Spine computed tomography. sagittal view. 512x548 px
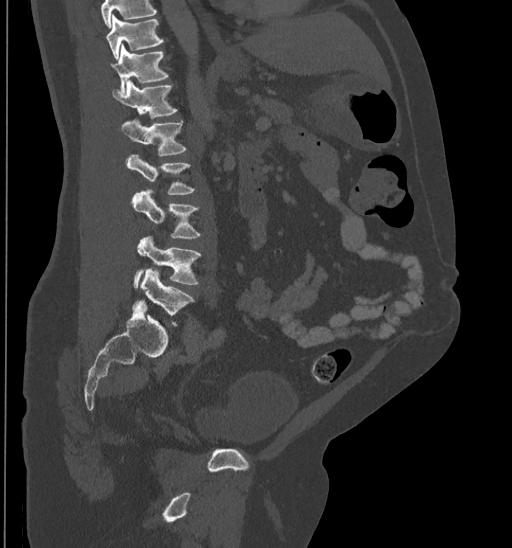

A vertebra cut off by the top edge of the scan is not labeled and has no box.
<vertebrae><v name="L5" x1="133" y1="268" x2="194" y2="325"/><v name="L4" x1="133" y1="236" x2="201" y2="288"/><v name="L3" x1="132" y1="189" x2="200" y2="238"/><v name="L2" x1="126" y1="154" x2="195" y2="195"/><v name="L1" x1="121" y1="118" x2="186" y2="156"/><v name="T12" x1="112" y1="79" x2="178" y2="119"/><v name="T11" x1="112" y1="44" x2="168" y2="93"/><v name="T10" x1="106" y1="15" x2="164" y2="58"/></vertebrae>